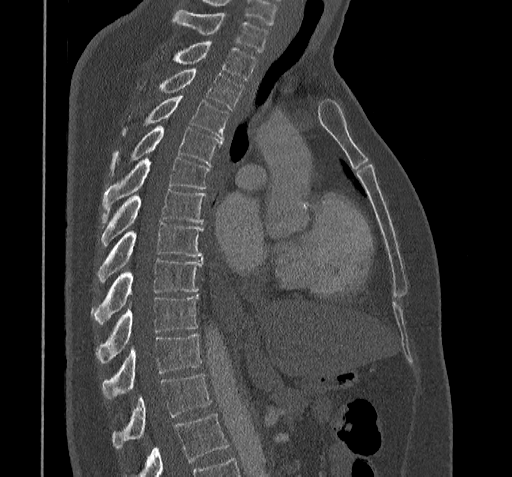 CT, spine · 322 mm image width · sagittal view · bone-window reconstruction · 512x477 px
Box edges are left/top/right/bottom in pixels.
No box is given to a vertebra that the bottom edge of the scan cuts off.
| vertebra | x1 | y1 | x2 | y2 |
|---|---|---|---|---|
| C7 | 173 | 9 | 267 | 52 |
| T1 | 176 | 42 | 256 | 79 |
| T2 | 160 | 67 | 242 | 109 |
| T3 | 144 | 94 | 228 | 141 |
| T4 | 111 | 125 | 221 | 166 |
| T5 | 103 | 157 | 209 | 221 |
| T6 | 101 | 189 | 205 | 245 |
| T7 | 97 | 222 | 202 | 281 |
| T8 | 92 | 259 | 202 | 324 |
| T9 | 95 | 295 | 197 | 362 |
| T10 | 101 | 333 | 201 | 398 |
| T11 | 113 | 374 | 210 | 448 |